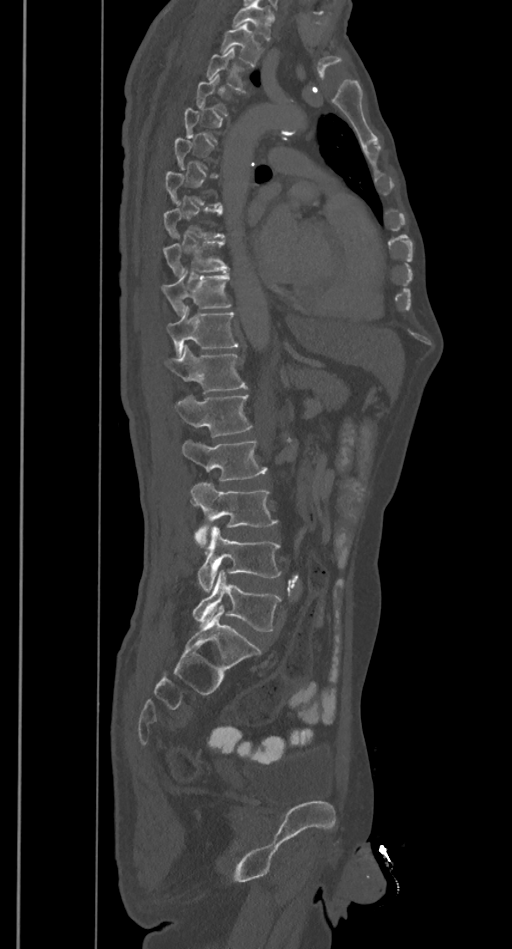 Spine CT — sagittal view — Bone window (WL 400, WW 1800)
Each box given as x1,y1,x2,y2. Not every vertebra on this slice has a box: a vertebra is boxed only from the first to the last slice where its cross-section is at least a third of its largest, and this slice is outside that range for at least one of them. Vertebrae that run past the top of the scan are left unlabeled. The labeled vertebrae in this slice are: T2 at x1=221, y1=24, x2=261, y2=65, T3 at x1=206, y1=48, x2=244, y2=89, T9 at x1=162, y1=241, x2=228, y2=275, T10 at x1=161, y1=274, x2=230, y2=315, T11 at x1=166, y1=306, x2=238, y2=356, T12 at x1=165, y1=346, x2=246, y2=393, L1 at x1=173, y1=395, x2=252, y2=436, L2 at x1=182, y1=439, x2=266, y2=481, L3 at x1=190, y1=482, x2=277, y2=544, L4 at x1=198, y1=525, x2=281, y2=591, L5 at x1=193, y1=570, x2=281, y2=632.